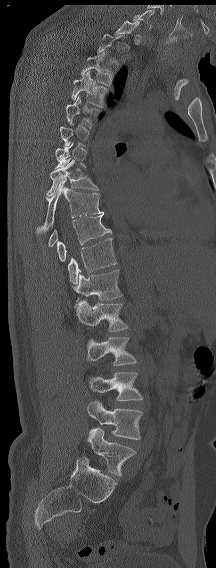
Spine computed tomography. sagittal view. Bone window (WL 400, WW 1800). Each row gives a vertebra's box as x1, y1, x2, y2 in pixels: top-left corner, then bottom-right corner.
A vertebra gets a box only on the slices from the first to the last where its cross-section is at least a third of its largest; on a slice outside that range it gets none.
This scan's labels start at C7 at the top and end at L6 at the bottom.
In these labels the spine has an L6, a sixth lumbar vertebra below L5.
| vertebra | x1 | y1 | x2 | y2 |
|---|---|---|---|---|
| C7 | 133 | 10 | 153 | 30 |
| T3 | 81 | 52 | 114 | 85 |
| T4 | 71 | 71 | 109 | 107 |
| T5 | 65 | 95 | 101 | 128 |
| T8 | 47 | 160 | 98 | 196 |
| T9 | 36 | 178 | 102 | 234 |
| T11 | 57 | 212 | 111 | 261 |
| T12 | 68 | 238 | 116 | 284 |
| L1 | 73 | 269 | 122 | 302 |
| L2 | 74 | 300 | 128 | 331 |
| L3 | 87 | 337 | 136 | 365 |
| L4 | 87 | 372 | 143 | 400 |
| L5 | 87 | 401 | 143 | 439 |
| L6 | 88 | 427 | 136 | 476 |